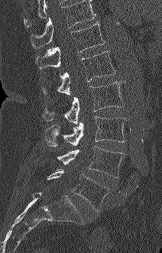

Computed tomography of the spine. sagittal reformat. W/L 1800/400 HU. 162x253 px
A vertebra cut off by the top edge of the scan is not labeled and has no box.
<vertebrae><v name="T12" x1="36" y1="20" x2="105" y2="69"/><v name="L1" x1="43" y1="51" x2="115" y2="95"/><v name="L2" x1="43" y1="81" x2="124" y2="124"/><v name="L3" x1="45" y1="116" x2="126" y2="146"/><v name="L4" x1="57" y1="146" x2="124" y2="177"/><v name="L5" x1="47" y1="169" x2="108" y2="210"/></vertebrae>